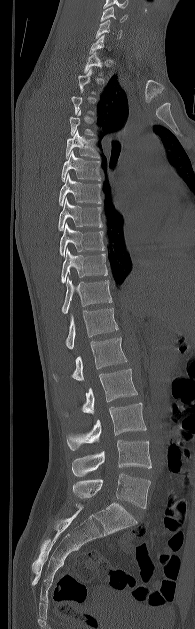
CT spine; sagittal view. Boxes: x1:y1:x2:y2 in pixels.
Each vertebra is boxed only on the slices from the first to the last where its cross-section reaches a third of its largest, so a slice outside that range leaves it unboxed.
C5: 100:6:127:22
C6: 96:20:121:38
T1: 84:51:102:75
T5: 65:130:98:158
T6: 61:151:100:181
T7: 58:173:101:205
T8: 58:198:102:230
T9: 59:223:104:255
T10: 61:248:107:283
T11: 62:277:112:313
T12: 65:308:118:349
L1: 53:337:127:381
L2: 82:369:137:414
L3: 67:402:146:450
L4: 72:440:151:477
L5: 73:473:150:508